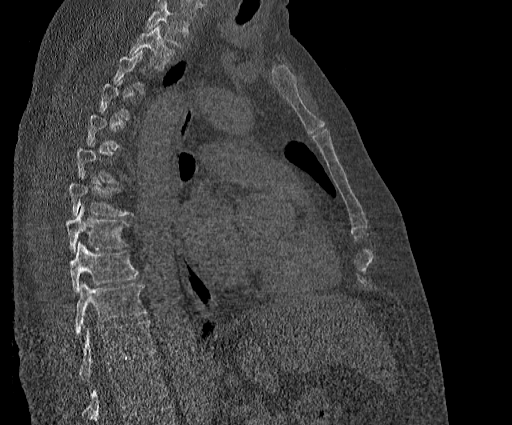
Spine CT; the image is 384 mm wide; sagittal view
Boxes: x1:y1:x2:y2 in pixels. Each vertebra is boxed only on the slices from the first to the last where its cross-section reaches a third of its largest, so a slice outside that range leaves it unboxed. A vertebra cut off by the top edge of the scan is not labeled and has no box. In this scan, the topmost labeled vertebra is T2 and the lowest is T11. The labeled vertebrae in this slice are: T2 at 130:25:173:68, T7 at 69:183:132:216, T8 at 65:207:128:254, T9 at 69:241:139:292, T10 at 74:281:145:335, T11 at 78:320:156:380.